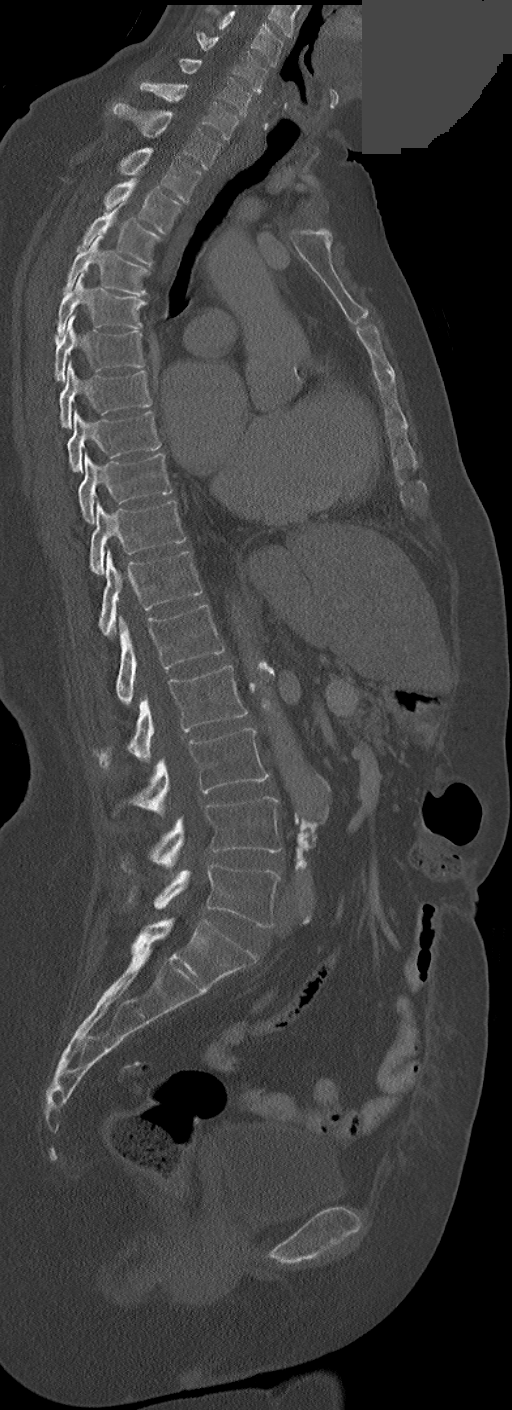 CT spine · 252 mm across the image · sagittal view · a portion of the image is blanked out (constant pixel value). Each box given as x1,y1,x2,y2.
In these labels the spine has no T12: the thoracic vertebrae end at T11, and L1 comes next.
| vertebra | x1 | y1 | x2 | y2 |
|---|---|---|---|---|
| C3 | 218 | 11 | 282 | 67 |
| C4 | 196 | 33 | 266 | 93 |
| C5 | 177 | 57 | 251 | 117 |
| C6 | 141 | 82 | 237 | 140 |
| C7 | 112 | 102 | 219 | 168 |
| T1 | 118 | 147 | 201 | 203 |
| T2 | 104 | 179 | 180 | 233 |
| T3 | 77 | 203 | 160 | 266 |
| T4 | 64 | 236 | 148 | 296 |
| T5 | 57 | 273 | 146 | 337 |
| T6 | 55 | 316 | 144 | 381 |
| T7 | 59 | 361 | 152 | 428 |
| T8 | 68 | 411 | 160 | 471 |
| T9 | 78 | 451 | 172 | 522 |
| T10 | 90 | 500 | 186 | 574 |
| T11 | 98 | 551 | 203 | 637 |
| L1 | 116 | 604 | 225 | 705 |
| L2 | 98 | 665 | 247 | 770 |
| L3 | 131 | 728 | 268 | 814 |
| L4 | 122 | 797 | 282 | 869 |
| L5 | 129 | 864 | 280 | 928 |